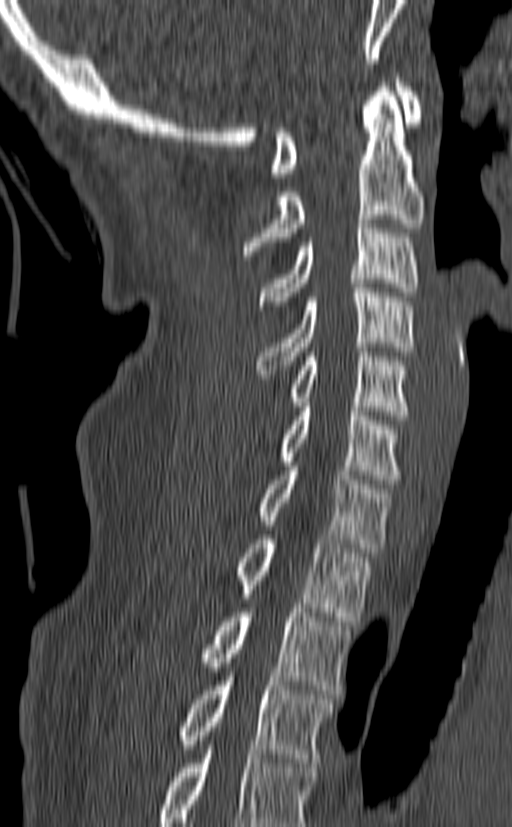 CT, spine; sagittal view; bone-window reconstruction

Boxes are (x1, y1, x2, y2) in pixels. This scan's labels start at C1 at the top and end at T3 at the bottom. Vertebrae labeled: C1 at (271, 78, 421, 177), C2 at (242, 87, 423, 260), C3 at (259, 219, 418, 310), C4 at (255, 283, 414, 378), C5 at (290, 347, 408, 420), C6 at (280, 402, 401, 484), C7 at (257, 462, 392, 552), T1 at (235, 535, 370, 621), T2 at (202, 608, 351, 694), T3 at (181, 672, 333, 762).